Computed tomography of the spine · sagittal view
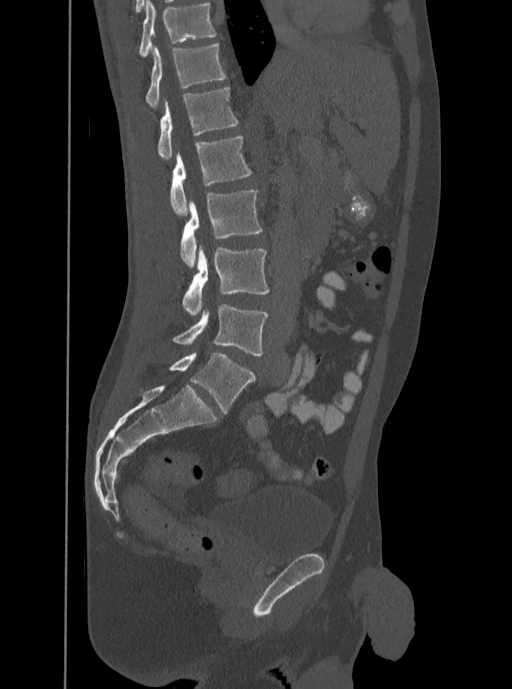 Boxes below are [x1, y1, x2, y2] in pixels.
The highest labeled vertebra in this scan is T12; the lowest is L5.
{"vertebrae":{"T12":[145,43,226,108],"L1":[158,87,239,160],"L2":[169,136,252,216],"L3":[180,190,262,268],"L4":[181,245,269,315],"L5":[172,304,268,356]}}